Spine CT · the image spans 190 mm across · sagittal view
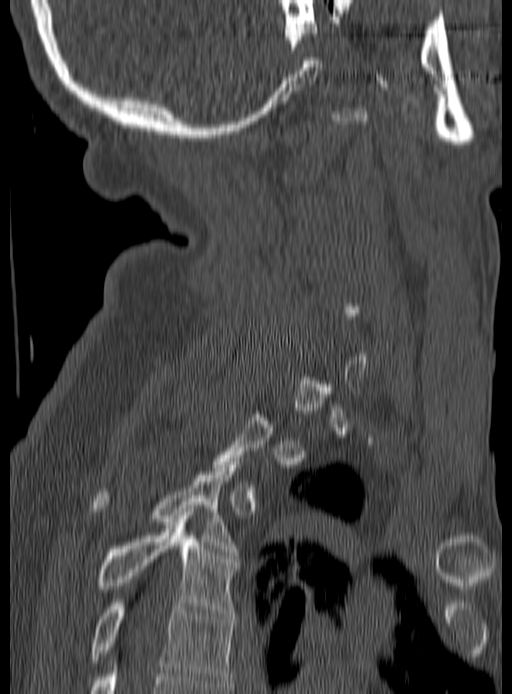

Each vertebra maps to its box as [x1, y1, x2, y2], the pixel coordinates of its top-left and bottom-right corners.
Not every vertebra on this slice has a box: a vertebra is boxed only from the first to the last slice where its cross-section is at least a third of its largest, and this slice is outside that range for at least one of them.
{"vertebrae":{"T3":[92,461,237,555],"T4":[98,519,240,615],"T5":[92,603,234,686]}}